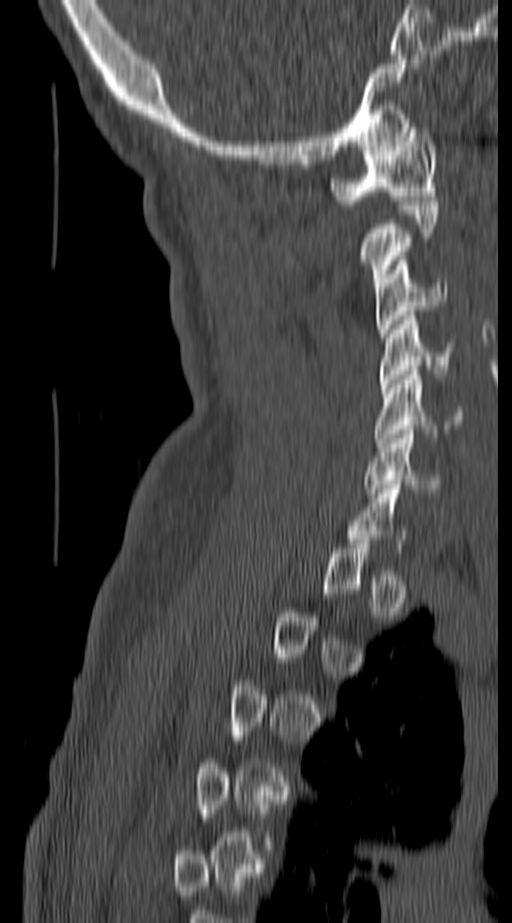
CT, spine. sagittal view. Bone window (WL 400, WW 1800)

Boxes are given in columns x1, y1, x2, y2, the pixel coordinates of their top-left and bottom-right corners.
A vertebra is boxed only from the first to the last slice where its cross-section is at least a third of its largest; slices outside that range leave it without a box.
| vertebra | x1 | y1 | x2 | y2 |
|---|---|---|---|---|
| C1 | 330 | 123 | 437 | 205 |
| C2 | 363 | 201 | 436 | 287 |
| C3 | 374 | 256 | 447 | 337 |
| C4 | 378 | 311 | 447 | 388 |
| C5 | 373 | 370 | 466 | 447 |
| C6 | 365 | 430 | 440 | 493 |